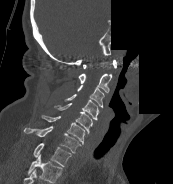 Computed tomography of the spine; sagittal view; part of the scan has been removed (filled with constant black)
Each box given as x1,y1,x2,y2. This scan's labels start at C1 at the top and end at T1 at the bottom. 8 vertebrae labeled — T1 at x1=33, y1=143, x2=71, y2=166; C7 at x1=23, y1=126, x2=81, y2=153; C6 at x1=41, y1=115, x2=84, y2=144; C5 at x1=54, y1=103, x2=92, y2=133; C4 at x1=64, y1=94, x2=99, y2=120; C3 at x1=77, y1=84, x2=104, y2=107; C2 at x1=78, y1=73, x2=111, y2=92; C1 at x1=83, y1=59, x2=116, y2=68.